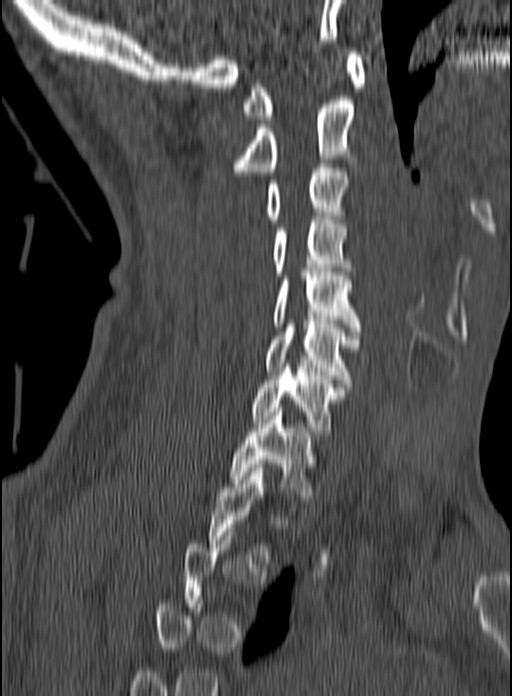
Spine computed tomography · sagittal view · W/L 1800/400 HU · 160 mm across the image · 512x696 px
Box values are [left, top, right, bottom] in pixels.
Not every vertebra on this slice has a box: a vertebra is boxed only from the first to the last slice where its cross-section is at least a third of its largest, and this slice is outside that range for at least one of them.
{"vertebrae":{"T1":[228,408,316,495],"C7":[251,364,346,435],"C6":[264,320,359,383],"C5":[273,268,361,331],"C4":[273,216,354,275],"C3":[266,164,349,223],"C2":[233,100,358,175],"C1":[241,52,365,119]}}